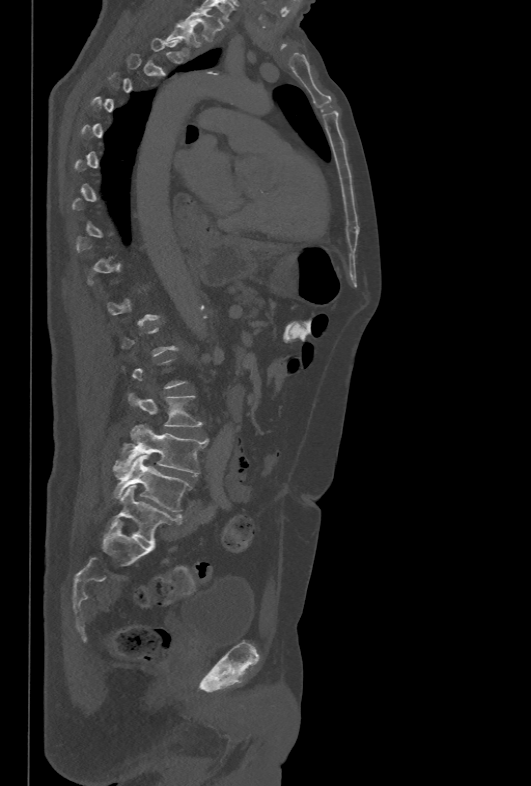
Spine computed tomography. sagittal reformat. bone-window reconstruction. 531x786 px
Boxes below are [x1, y1, x2, y2] in pixels.
A vertebra is boxed only from the first to the last slice where its cross-section is at least a third of its largest; slices outside that range leave it without a box.
{"vertebrae":{"L5":[113,456,191,513],"L4":[113,425,208,476],"L3":[128,393,202,426],"T1":[183,10,222,41]}}